Computed tomography of the spine. sagittal view. image 179 mm wide. Bone window (WL 400, WW 1800)
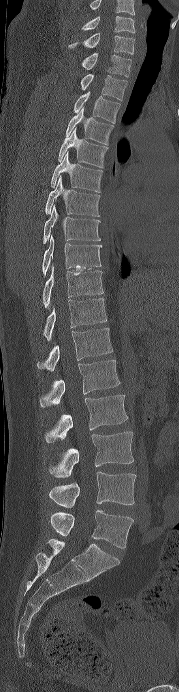

Boxes below are [x1, y1, x2, y2] in pixels.
This scan's labels start at C6 at the top and end at L5 at the bottom.
{"vertebrae":{"L5":[50,510,133,548],"L4":[49,471,136,507],"L3":[48,431,133,477],"L2":[44,395,127,442],"L1":[39,360,120,407],"T12":[37,328,113,371],"T11":[43,298,107,340],"T10":[42,265,103,307],"T9":[42,235,101,274],"T8":[43,205,100,243],"T7":[45,176,99,216],"T6":[51,152,102,192],"T5":[58,128,107,167],"T4":[65,107,113,144],"T3":[73,90,120,123],"T2":[80,74,127,100],"T1":[82,53,131,77],"C7":[68,32,134,54],"C6":[81,16,135,33]}}